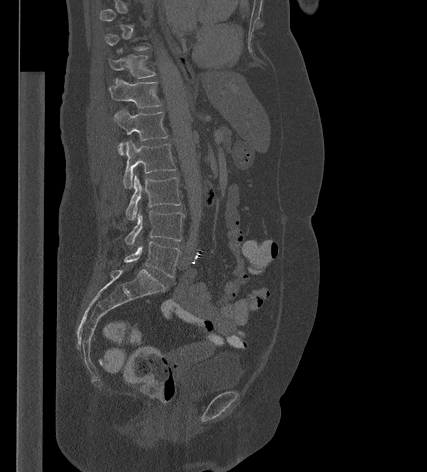
Spine computed tomography — sagittal reformat

Each box is [x1, y1, x2, y2] in pixels: top-left corner, then bottom-right corner.
A vertebra gets a box only on the slices from the first to the last where its cross-section is at least a third of its largest; on a slice outside that range it gets none.
{"vertebrae":{"T11":[109,49,155,78],"T12":[109,78,162,108],"L1":[114,109,168,154],"L2":[123,140,176,188],"L3":[126,175,181,220],"L4":[124,211,184,244],"L5":[124,241,180,277]}}